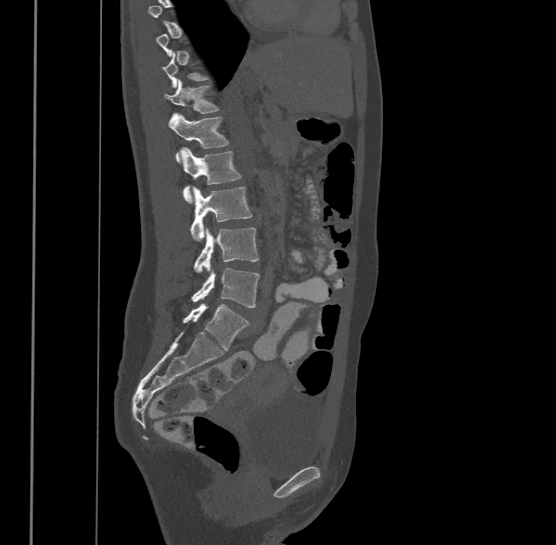

Computed tomography of the spine. sagittal view. W/L 1800/400 HU

Bounding boxes as [x1, y1, x2, y2] in pixel coordinates. Each vertebra is boxed only on the slices from the first to the last where its cross-section reaches a third of its largest, so a slice outside that range leaves it unboxed. The highest labeled vertebra in this scan is T9; the lowest is L4. 6 vertebrae labeled — L4 at [191, 268, 259, 307]; L3 at [193, 227, 259, 272]; L2 at [190, 186, 252, 240]; L1 at [183, 147, 241, 202]; T12 at [168, 112, 229, 161]; T11 at [164, 78, 219, 113].